Computed tomography of the spine · 165 mm across the image · sagittal plane, index 204 · bone-window reconstruction · 512x780 px
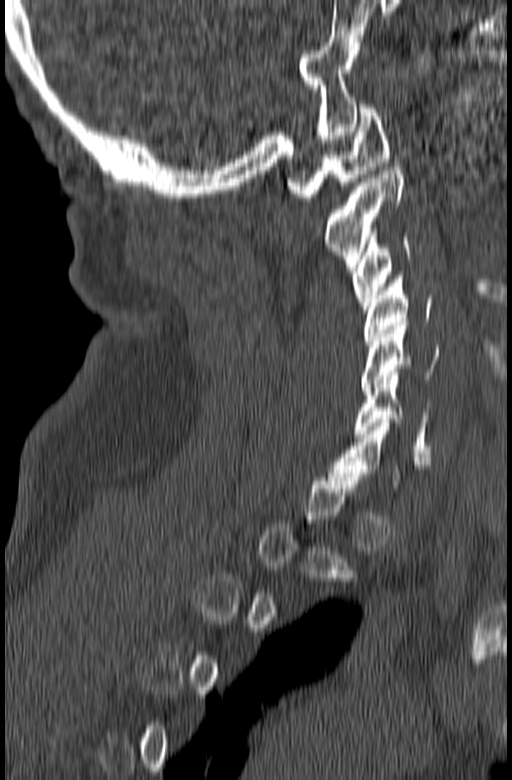
A vertebra is boxed only from the first to the last slice where its cross-section is at least a third of its largest; slices outside that range leave it without a box.
<vertebrae><v name="C6" x1="355" y1="376" x2="431" y2="453"/><v name="C5" x1="361" y1="322" x2="441" y2="391"/><v name="C4" x1="364" y1="272" x2="431" y2="344"/><v name="C3" x1="352" y1="229" x2="410" y2="313"/><v name="C2" x1="324" y1="167" x2="404" y2="271"/><v name="C1" x1="287" y1="105" x2="388" y2="201"/></vertebrae>